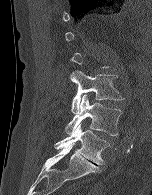

CT spine. sagittal view. W/L 1800/400 HU. 152x195 px. image 152 mm wide
A vertebra is boxed only from the first to the last slice where its cross-section is at least a third of its largest; slices outside that range leave it without a box.
<vertebrae><v name="L3" x1="70" y1="70" x2="124" y2="113"/><v name="L4" x1="65" y1="94" x2="121" y2="136"/><v name="L5" x1="54" y1="123" x2="110" y2="164"/></vertebrae>